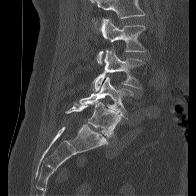
Spine CT; image 196 mm wide; sagittal view; W/L 1800/400 HU; 196x196 px
Boxes below are [x1, y1, x2, y2] in pixels.
A vertebra cut off by the top edge of the scan is not labeled and has no box.
{"vertebrae":{"L2":[97,18,146,63],"L3":[93,49,145,91],"L4":[79,75,133,119],"L5":[65,100,121,137]}}